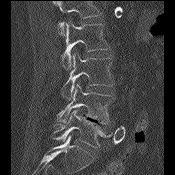
CT spine · 175 mm image width · sagittal reformat

Each box is [x1, y1, x2, y2] in pixels: top-left corner, then bottom-right corner.
No box is given to a vertebra that the top edge of the scan cuts off.
{"vertebrae":{"L5":[53,109,112,147],"L4":[55,84,114,123],"L3":[62,52,114,99],"L2":[62,21,109,69]}}